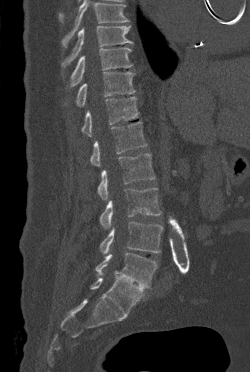 Spine CT — sagittal view
Vertebrae that run past the top of the scan are left unlabeled.
<vertebrae><v name="L5" x1="95" y1="252" x2="157" y2="288"/><v name="L4" x1="100" y1="221" x2="163" y2="254"/><v name="L3" x1="99" y1="188" x2="160" y2="228"/><v name="L2" x1="97" y1="153" x2="155" y2="199"/><v name="L1" x1="90" y1="121" x2="147" y2="166"/><v name="T12" x1="81" y1="96" x2="139" y2="136"/><v name="T11" x1="75" y1="72" x2="135" y2="106"/><v name="T10" x1="69" y1="47" x2="132" y2="87"/><v name="T9" x1="62" y1="26" x2="132" y2="67"/></vertebrae>